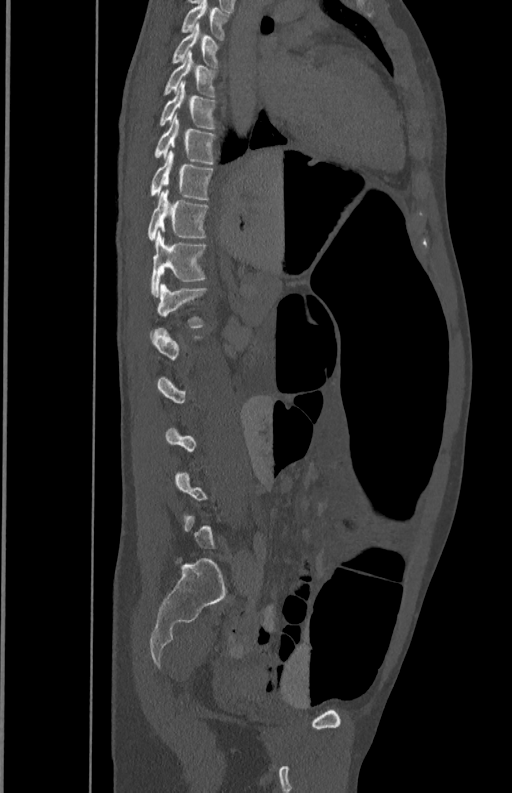 Spine computed tomography · sagittal view · bone window
Not every vertebra on this slice has a box: a vertebra is boxed only from the first to the last slice where its cross-section is at least a third of its largest, and this slice is outside that range for at least one of them.
<vertebrae><v name="L1" x1="149" y1="283" x2="208" y2="340"/><v name="T12" x1="149" y1="232" x2="206" y2="295"/><v name="T11" x1="148" y1="190" x2="209" y2="240"/><v name="T10" x1="149" y1="150" x2="214" y2="199"/><v name="T9" x1="153" y1="117" x2="217" y2="164"/><v name="T8" x1="158" y1="82" x2="217" y2="129"/><v name="T7" x1="162" y1="51" x2="218" y2="96"/><v name="T6" x1="171" y1="24" x2="221" y2="67"/><v name="T5" x1="180" y1="1" x2="230" y2="40"/></vertebrae>